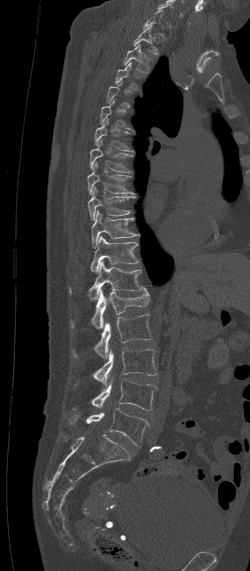
CT, spine; image 250 mm wide; sagittal view
A vertebra is boxed only from the first to the last slice where its cross-section is at least a third of its largest; slices outside that range leave it without a box.
<vertebrae><v name="T1" x1="133" y1="25" x2="158" y2="55"/><v name="T2" x1="123" y1="44" x2="149" y2="73"/><v name="T6" x1="94" y1="118" x2="134" y2="151"/><v name="T7" x1="90" y1="139" x2="132" y2="172"/><v name="T8" x1="87" y1="162" x2="135" y2="195"/><v name="T9" x1="88" y1="188" x2="135" y2="219"/><v name="T10" x1="91" y1="210" x2="139" y2="248"/><v name="T11" x1="90" y1="236" x2="138" y2="274"/><v name="T12" x1="69" y1="260" x2="142" y2="300"/><v name="L1" x1="70" y1="286" x2="149" y2="328"/><v name="L2" x1="72" y1="314" x2="153" y2="358"/><v name="L3" x1="93" y1="348" x2="156" y2="384"/><v name="L4" x1="70" y1="379" x2="157" y2="411"/><v name="L5" x1="69" y1="408" x2="151" y2="445"/></vertebrae>